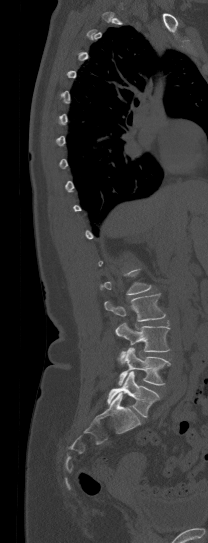 CT, spine. the image spans 208 mm across. sagittal view

A vertebra is boxed only from the first to the last slice where its cross-section is at least a third of its largest; slices outside that range leave it without a box.
<vertebrae><v name="L2" x1="104" y1="293" x2="165" y2="321"/><v name="L3" x1="115" y1="323" x2="169" y2="363"/><v name="L4" x1="118" y1="347" x2="170" y2="385"/><v name="L5" x1="107" y1="372" x2="159" y2="417"/></vertebrae>